CT, spine. sagittal view. 18 vertebrae labeled in this scan
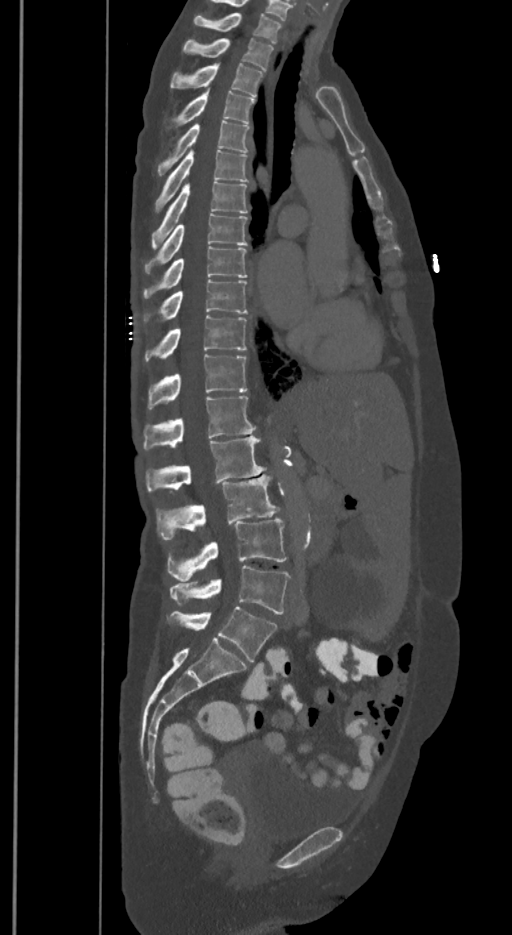
Boxes are (x1, y1, x2, y2) in pixels.
These labels give the spine a sixth lumbar vertebra, L6, below L5.
Vertebra bounding boxes:
- T1: (194, 13, 281, 42)
- T2: (184, 38, 272, 71)
- T3: (171, 63, 262, 95)
- T4: (177, 90, 253, 121)
- T5: (158, 120, 249, 174)
- T6: (155, 149, 247, 212)
- T7: (152, 182, 247, 249)
- T8: (145, 213, 246, 273)
- T9: (143, 246, 246, 298)
- T10: (145, 279, 246, 322)
- T11: (145, 316, 246, 361)
- T12: (148, 354, 246, 408)
- L1: (143, 396, 255, 449)
- L2: (146, 436, 265, 493)
- L3: (156, 474, 278, 539)
- L4: (168, 517, 285, 580)
- L5: (169, 566, 290, 614)
- L6: (169, 607, 277, 661)